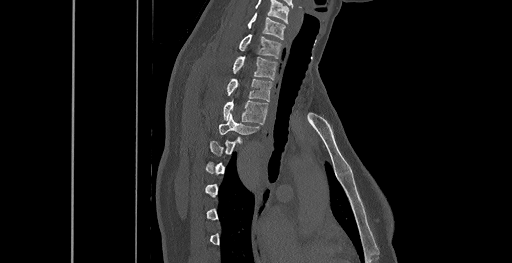 CT spine — sagittal reformat — bone window — 512x263 px — 461 mm image width
Boxes: x1:y1:x2:y2 in pixels. Each vertebra is boxed only on the slices from the first to the last where its cross-section reaches a third of its largest, so a slice outside that range leaves it unboxed. This scan's labels start at C6 at the top and end at T8 at the bottom. The labeled vertebrae in this slice are: T4 at 218:114:259:134, T3 at 223:100:268:123, T2 at 227:79:272:101, T1 at 232:56:276:79, C7 at 239:34:281:58, C6 at 248:13:285:39.